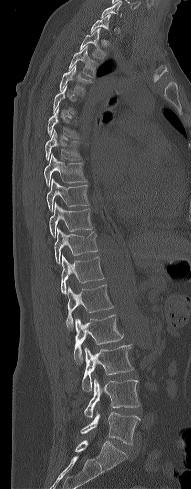
Spine computed tomography — sagittal view — 191x489 px — image 191 mm wide
Each box is [x1, y1, x2, y2] in pixels: top-left corner, then bottom-right corner.
Not every vertebra on this slice has a box: a vertebra is boxed only from the first to the last slice where its cross-section is at least a third of its largest, and this slice is outside that range for at least one of them.
{"vertebrae":{"C7":[101,1,121,18],"T2":[80,28,107,59],"T3":[69,45,96,77],"T4":[59,65,93,95],"T6":[48,108,79,138],"T7":[45,129,81,160],"T8":[44,156,87,186],"T9":[46,179,89,211],"T10":[49,202,92,237],"T11":[54,228,98,265],"T12":[61,254,104,295],"L1":[65,285,113,328],"L2":[69,315,123,364],"L3":[82,345,133,392],"L4":[84,378,139,418],"L5":[80,410,139,444]}}